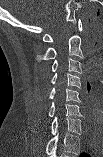 CT — sagittal view — Bone window (WL 400, WW 1800)

Boxes are given in columns x1, y1, x2, y2, the pixel coordinates of their top-left and bottom-right corners.
The highest labeled vertebra in this scan is C1; the lowest is C7.
| vertebra | x1 | y1 | x2 | y2 |
|---|---|---|---|---|
| C1 | 43 | 19 | 82 | 42 |
| C2 | 36 | 35 | 83 | 61 |
| C3 | 52 | 58 | 81 | 73 |
| C4 | 51 | 73 | 80 | 88 |
| C5 | 48 | 88 | 80 | 102 |
| C6 | 49 | 102 | 82 | 116 |
| C7 | 51 | 116 | 81 | 134 |